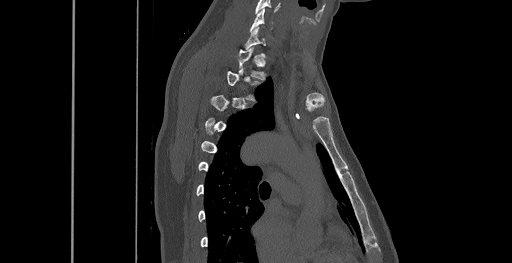

Computed tomography of the spine; image 461 mm wide; sagittal view; 512x263 px
A vertebra is boxed only from the first to the last slice where its cross-section is at least a third of its largest; slices outside that range leave it without a box.
<vertebrae><v name="T2" x1="227" y1="69" x2="260" y2="101"/><v name="T1" x1="238" y1="47" x2="266" y2="79"/><v name="C6" x1="250" y1="9" x2="272" y2="31"/></vertebrae>